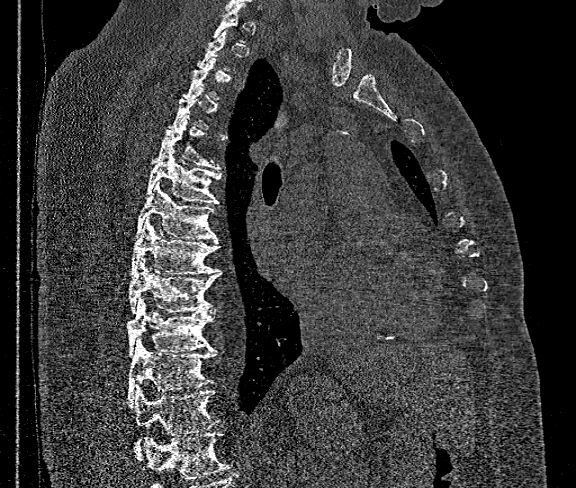

Computed tomography of the spine. sagittal reformat. Bone window (WL 400, WW 1800)
Box values are [left, top, right, bottom] in pixels.
Not every vertebra on this slice has a box: a vertebra is boxed only from the first to the last slice where its cross-section is at least a third of its largest, and this slice is outside that range for at least one of them.
Vertebrae that run past the bottom of the scan are left unlabeled.
{"vertebrae":{"T5":[156,115,221,171],"T6":[146,149,221,204],"T7":[136,182,216,239],"T8":[130,217,219,275],"T9":[128,258,221,313],"T10":[128,298,215,356],"T11":[128,340,216,406],"T12":[134,388,219,457]}}